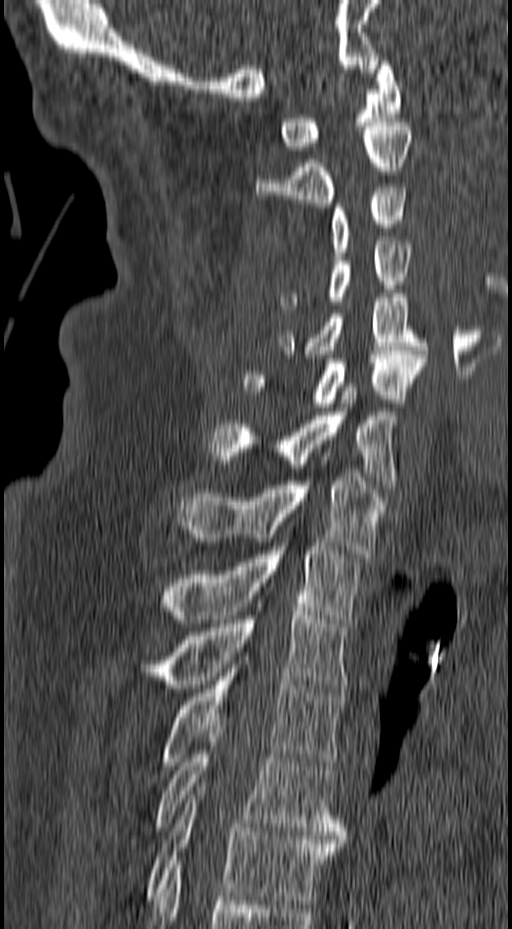
CT, spine — sagittal view — Bone window (WL 400, WW 1800) — 512x929 px — the image is 157 mm wide
Box values are [left, top, right, bottom] in pixels.
{"vertebrae":{"C1":[282,57,401,154],"C2":[256,122,412,207],"C3":[330,188,408,256],"C4":[278,241,411,309],"C5":[278,294,427,358],"C6":[244,351,427,411],"C7":[207,387,398,484],"T1":[174,473,385,557],"T2":[161,534,359,623],"T3":[139,607,347,692],"T4":[161,656,343,769],"T5":[154,726,346,839],"T6":[144,787,343,904]}}